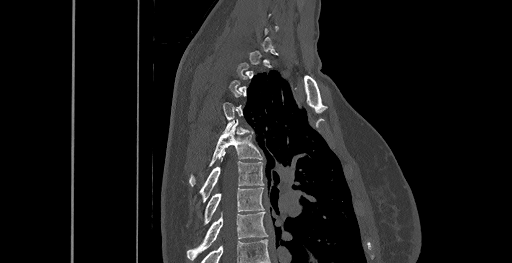 Spine CT; sagittal view; bone-window reconstruction; 512x263 px. Box edges are left/top/right/bottom in pixels. Each vertebra is boxed only on the slices from the first to the last where its cross-section reaches a third of its largest, so a slice outside that range leaves it unboxed. 4 vertebrae labeled — T5 at left=189, top=125, right=262, bottom=185; T6 at left=200, top=154, right=263, bottom=201; T7 at left=204, top=187, right=263, bottom=223; T8 at left=187, top=211, right=268, bottom=260.